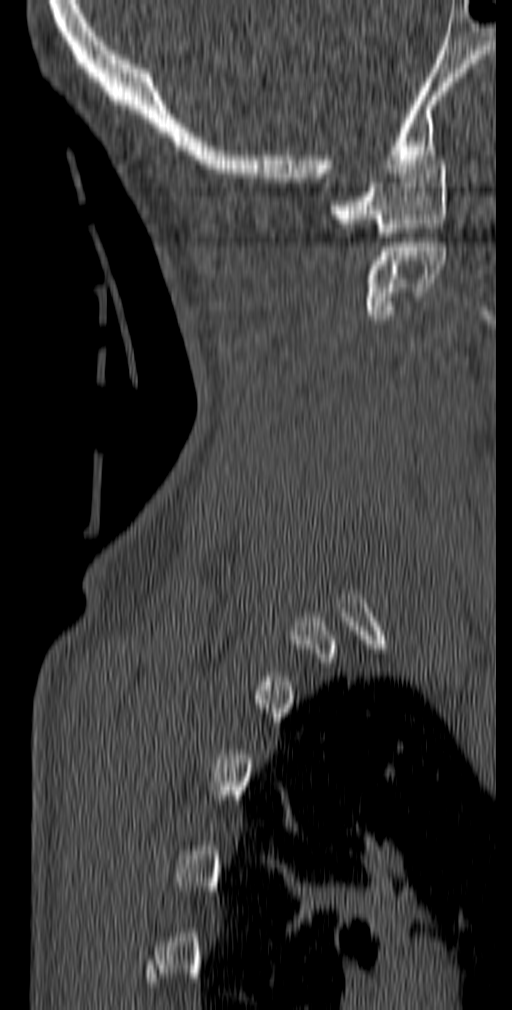 Spine CT — 140 mm across the image — sagittal view
Boxes are (x1, y1, x2, y2) in pixels.
C1: (329, 160, 447, 237)
C2: (363, 242, 447, 319)